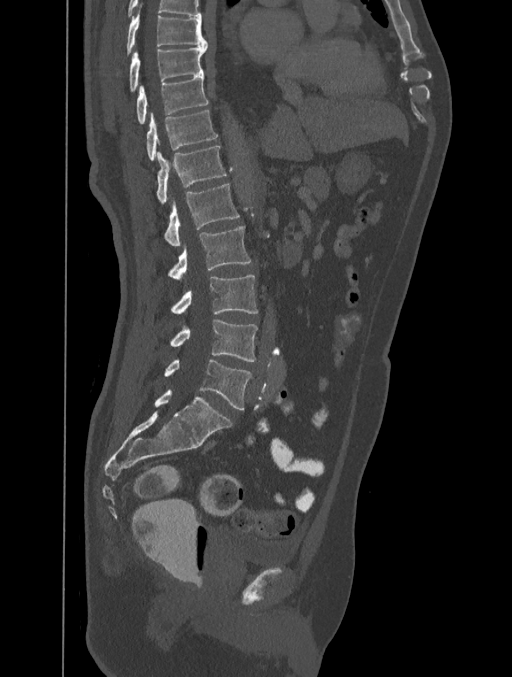
Computed tomography of the spine. sagittal view. Bone window (WL 400, WW 1800). 512x677 px

Box edges are left/top/right/bottom in pixels.
Labels in this scan begin with T8 at the top and end with L5 at the bottom.
Vertebra bounding boxes:
- T8: left=126, top=14, right=207, bottom=56
- T9: left=129, top=43, right=208, bottom=92
- T10: left=136, top=75, right=208, bottom=124
- T11: left=145, top=110, right=217, bottom=160
- T12: left=156, top=146, right=226, bottom=205
- L1: left=163, top=183, right=239, bottom=246
- L2: left=167, top=226, right=250, bottom=278
- L3: left=170, top=275, right=258, bottom=313
- L4: left=170, top=319, right=257, bottom=362
- L5: left=163, top=359, right=252, bottom=409